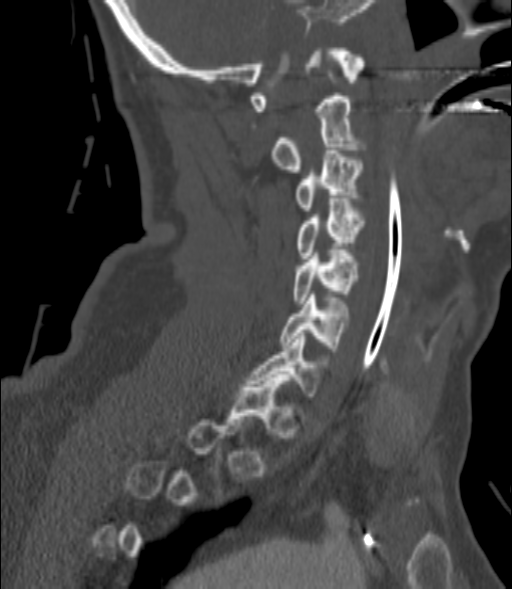
CT · sagittal view · 512x589 px
Each box given as x1,y1,x2,y2. A vertebra gets a box only on the slices from the first to the last where its cross-section is at least a third of its largest; on a slice outside that range it gets none. 6 vertebrae labeled — C2 at x1=272, y1=96, x2=361, y2=172; C3 at x1=295, y1=150, x2=362, y2=210; C4 at x1=298, y1=198, x2=363, y2=261; C5 at x1=293, y1=250, x2=358, y2=303; C6 at x1=280, y1=294, x2=348, y2=351; C7 at x1=247, y1=333, x2=325, y2=399.